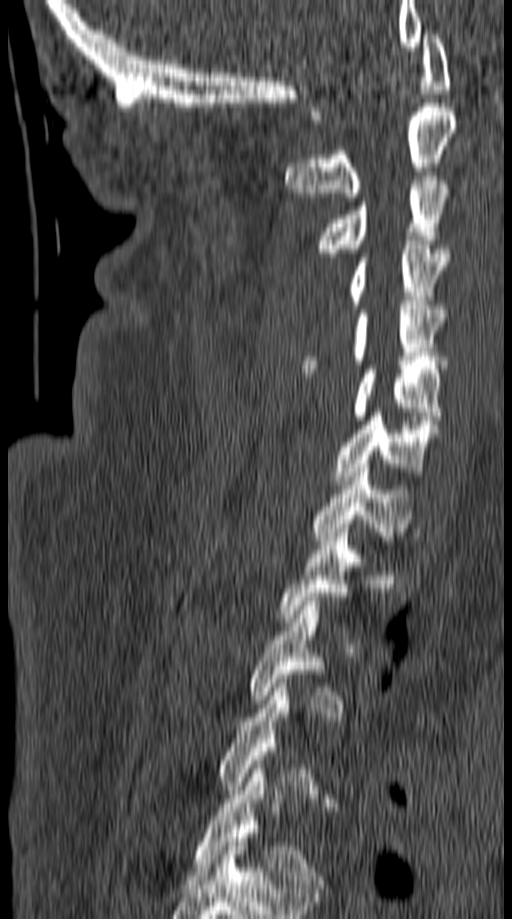

Computed tomography of the spine · sagittal reformat · image 149 mm wide. Boxes: x1:y1:x2:y2 in pixels. Each vertebra is boxed only on the slices from the first to the last where its cross-section reaches a third of its largest, so a slice outside that range leaves it unboxed. The labeled vertebrae in this slice are: T5 at 194:765:323:884, T3 at 249:597:344:716, T2 at 280:528:362:622, T1 at 310:464:413:545, C7 at 333:408:440:484, C6 at 352:365:442:420, C5 at 302:305:447:373, C4 at 348:241:448:308, C3 at 316:172:451:257, C2 at 286:103:457:201, C1 at 311:30:450:119.